Computed tomography of the spine · Sagittal slice 287/512 · scan covers 17 annotated vertebrae
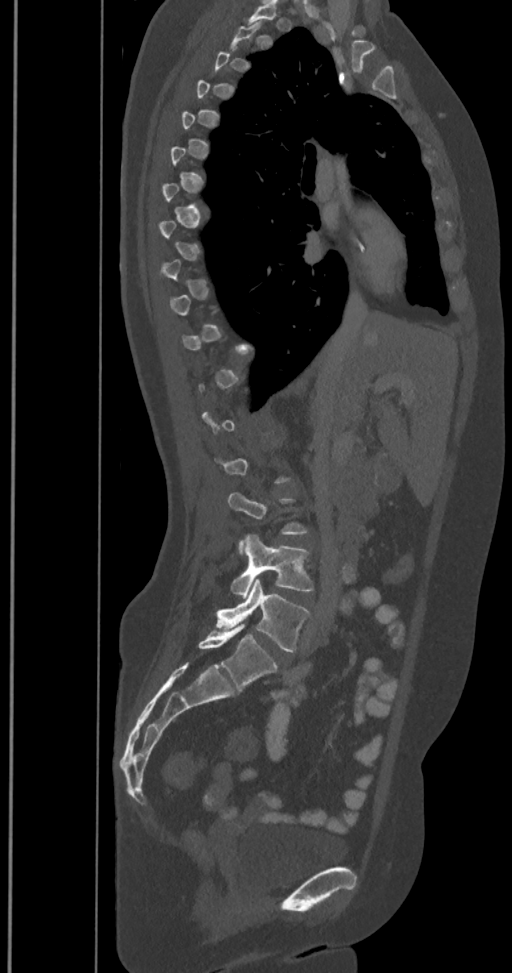 Each box is [x1, y1, x2, y2] in pixels: top-left corner, then bottom-right corner.
Each vertebra is boxed only on the slices from the first to the last where its cross-section reaches a third of its largest, so a slice outside that range leaves it unboxed.
The labels name a sixth lumbar vertebra for this spine: L6, after L5.
{"vertebrae":{"L6":[197,624,277,690],"L5":[216,578,309,652],"L4":[231,535,313,597]}}